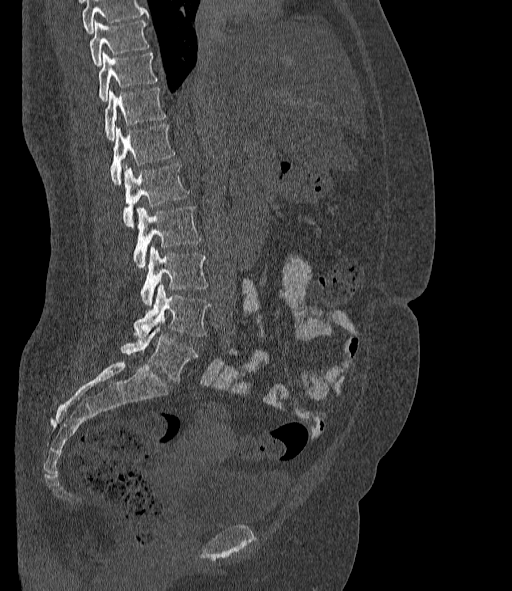
Spine CT. sagittal view. W/L 1800/400 HU. image 377 mm wide
Each box given as x1,y1,x2,y2.
Where the top of the scan cuts through a vertebra, that vertebra gets no label or box.
These labels give the spine a sixth lumbar vertebra, L6, below L5.
T10: x1=89, y1=20, x2=148, y2=66
T11: x1=99, y1=52, x2=156, y2=101
T12: x1=104, y1=88, x2=165, y2=140
L1: x1=111, y1=124, x2=174, y2=184
L2: x1=123, y1=163, x2=189, y2=226
L3: x1=133, y1=206, x2=200, y2=268
L4: x1=141, y1=247, x2=207, y2=305
L5: x1=133, y1=284, x2=209, y2=336
L6: x1=121, y1=323, x2=197, y2=382